Computed tomography of the spine; sagittal view; Bone window (WL 400, WW 1800); 5 vertebrae labeled in this scan; image 228 mm wide
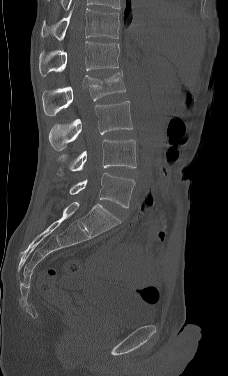
Boxes are given in columns x1, y1, x2, y2, the pixel coordinates of their top-left and bottom-right corners.
This scan's labels start at L1 at the top and end at L5 at the bottom.
| vertebra | x1 | y1 | x2 | y2 |
|---|---|---|---|---|
| L1 | 39 | 41 | 119 | 77 |
| L2 | 42 | 70 | 125 | 116 |
| L3 | 48 | 101 | 132 | 150 |
| L4 | 57 | 139 | 136 | 175 |
| L5 | 69 | 173 | 135 | 208 |